CT, spine; sagittal reformat; bone-window reconstruction; 369x669 px
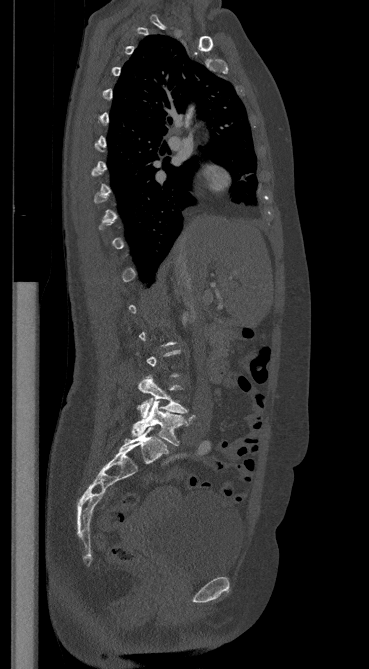

Boxes: x1:y1:x2:y2 in pixels.
Not every vertebra on this slice has a box: a vertebra is boxed only from the first to the last slice where its cross-section is at least a third of its largest, and this slice is outside that range for at least one of them.
Vertebra bounding boxes:
- L4: 138:375:187:418
- L5: 132:401:194:445